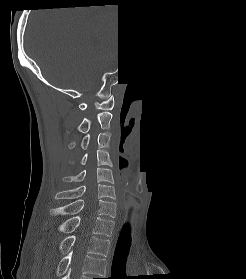 Spine computed tomography · 246 mm across the image · sagittal view · a region of this slice is masked with a uniform fill
Coordinates as <box>x1,y1,x2,y2</box>.
This scan's labels start at C1 at the top and end at T2 at the bottom.
C1: <box>79,95,113,110</box>
C2: <box>66,112,112,133</box>
C3: <box>68,132,112,149</box>
C4: <box>69,149,112,166</box>
C5: <box>62,167,113,183</box>
C6: <box>55,183,115,199</box>
C7: <box>50,199,116,217</box>
T1: <box>58,216,114,236</box>
T2: <box>59,235,109,256</box>